Spine computed tomography · sagittal view
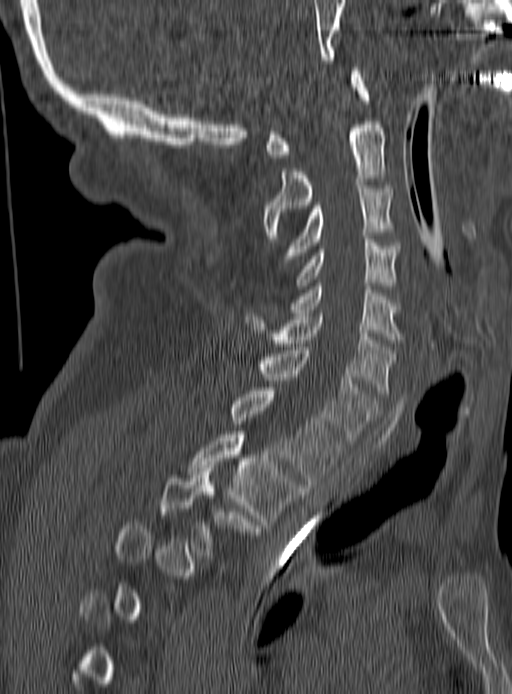
Box edges are left/top/right/bottom in pixels.
A vertebra gets a box only on the slices from the first to the last where its cross-section is at least a third of its largest; on a slice outside that range it gets none.
Vertebra bounding boxes:
- C1: left=264, top=71, right=369, bottom=161
- C2: left=265, top=121, right=385, bottom=238
- C3: left=282, top=185, right=393, bottom=265
- C4: left=297, top=239, right=399, bottom=289
- C5: left=289, top=283, right=401, bottom=343
- C6: left=246, top=313, right=396, bottom=393
- C7: left=260, top=350, right=377, bottom=444
- T1: left=233, top=387, right=342, bottom=484
- T2: left=189, top=431, right=302, bottom=524
- T3: left=160, top=468, right=259, bottom=551